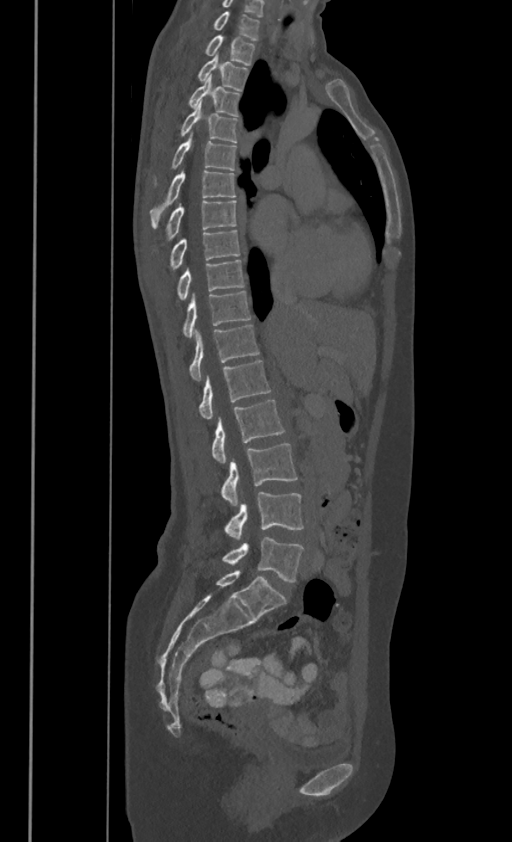
CT — 386 mm image width — sagittal view — 512x842 px. Box edges are left/top/right/bottom in pixels. In these labels the thoracic vertebrae end at T11, so L1 follows T11. The labeled vertebrae in this slice are: C7 at left=215, top=11, right=259, bottom=38, T1 at left=205, top=35, right=254, bottom=63, T2 at left=199, top=53, right=247, bottom=89, T3 at left=190, top=74, right=239, bottom=114, T4 at left=182, top=100, right=236, bottom=141, T5 at left=172, top=130, right=235, bottom=169, T6 at left=151, top=167, right=235, bottom=226, T7 at left=167, top=198, right=236, bottom=237, T8 at left=171, top=229, right=239, bottom=266, T9 at left=178, top=258, right=243, bottom=299, T10 at left=183, top=290, right=250, bottom=336, T11 at left=190, top=324, right=259, bottom=380, L1 at left=199, top=359, right=269, bottom=418, L2 at left=212, top=399, right=284, bottom=465, L3 at left=221, top=444, right=296, bottom=505, L4 at left=225, top=492, right=303, bottom=540, L5 at left=223, top=537, right=303, bottom=582.